CT. sagittal reformat. the image is 179 mm wide. W/L 1800/400 HU
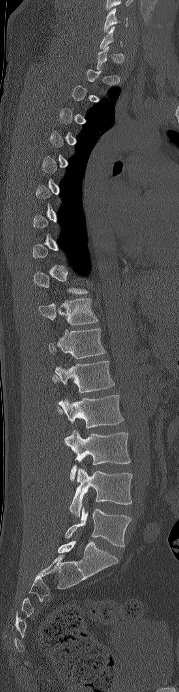

Boxes: x1:y1:x2:y2 in pixels. Each vertebra is boxed only on the slices from the first to the last where its cross-section reaches a third of its largest, so a slice outside that range leaves it unboxed. Vertebrae labeled: L5 at 65:506:131:547, L4 at 68:468:132:516, L3 at 65:430:130:480, L2 at 57:395:123:428, L1 at 52:360:114:393, T12 at 48:328:105:358, T11 at 38:298:98:325, C6 at 104:8:127:32.